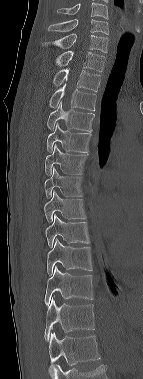
Spine computed tomography; sagittal view; bone window. Boxes: x1:y1:x2:y2 in pixels. Labels in this scan begin with C6 at the top and end with T12 at the bottom. Vertebrae labeled: C6 at 48:19:108:34, C7 at 42:33:108:52, T1 at 55:50:104:72, T2 at 53:68:100:91, T3 at 49:83:96:110, T4 at 47:102:95:132, T5 at 46:123:91:152, T6 at 45:144:89:175, T7 at 44:167:83:198, T8 at 44:191:86:222, T9 at 45:214:89:247, T10 at 47:238:92:275, T11 at 44:266:93:306, T12 at 44:297:94:341.